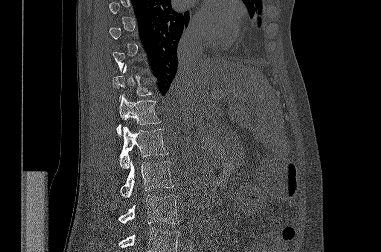 Computed tomography of the spine. sagittal reformat. 381 mm image width. 381x252 px
Boxes are (x1, y1, x2, y2) in pixels. A vertebra gets a box only on the slices from the first to the last where its cross-section is at least a third of its largest; on a slice outside that range it gets none. Vertebrae that run past the bottom of the scan are left unlabeled. Vertebrae labeled: L3 at (118, 195, 179, 223), L2 at (120, 160, 173, 197), L1 at (119, 126, 168, 169), T12 at (116, 94, 160, 135), T11 at (112, 64, 152, 101).